CT spine · sagittal view · 461 mm across the image · 512x855 px
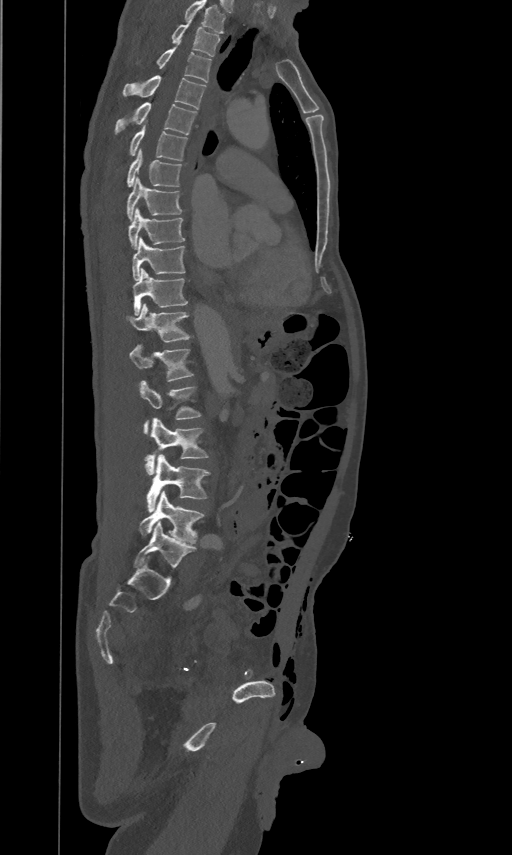

This scan's labels start at T2 at the top and end at L5 at the bottom.
<vertebrae><v name="T2" x1="171" y1="20" x2="219" y2="56"/><v name="T3" x1="156" y1="41" x2="211" y2="82"/><v name="T4" x1="123" y1="75" x2="205" y2="109"/><v name="T5" x1="115" y1="101" x2="197" y2="135"/><v name="T6" x1="130" y1="123" x2="187" y2="160"/><v name="T7" x1="127" y1="147" x2="181" y2="185"/><v name="T8" x1="127" y1="177" x2="181" y2="220"/><v name="T9" x1="129" y1="206" x2="185" y2="248"/><v name="T10" x1="132" y1="236" x2="185" y2="279"/><v name="T11" x1="133" y1="267" x2="187" y2="315"/><v name="T12" x1="126" y1="303" x2="190" y2="341"/><v name="L1" x1="130" y1="343" x2="192" y2="380"/><v name="L2" x1="140" y1="380" x2="200" y2="433"/><v name="L3" x1="145" y1="416" x2="207" y2="474"/><v name="L4" x1="146" y1="454" x2="210" y2="512"/><v name="L5" x1="140" y1="491" x2="204" y2="543"/></vertebrae>